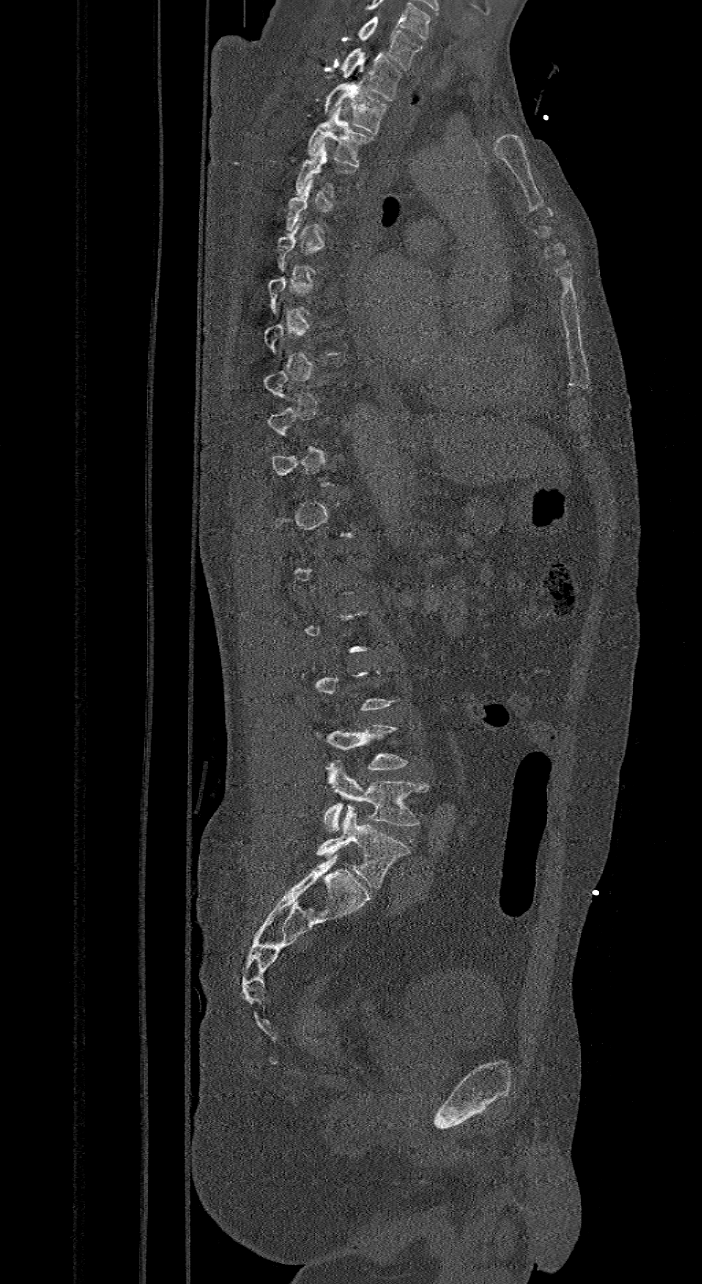
CT, spine. sagittal view

A vertebra gets a box only on the slices from the first to the last where its cross-section is at least a third of its largest; on a slice outside that range it gets none.
The highest labeled vertebra in this scan is C7; the lowest is L6.
The labels name a sixth lumbar vertebra for this spine: L6, after L5.
<vertebrae><v name="L6" x1="317" y1="806" x2="409" y2="887"/><v name="L5" x1="323" y1="761" x2="427" y2="832"/><v name="T3" x1="308" y1="106" x2="372" y2="167"/><v name="T2" x1="325" y1="72" x2="387" y2="134"/><v name="T1" x1="340" y1="47" x2="401" y2="100"/><v name="C7" x1="358" y1="17" x2="422" y2="69"/></vertebrae>